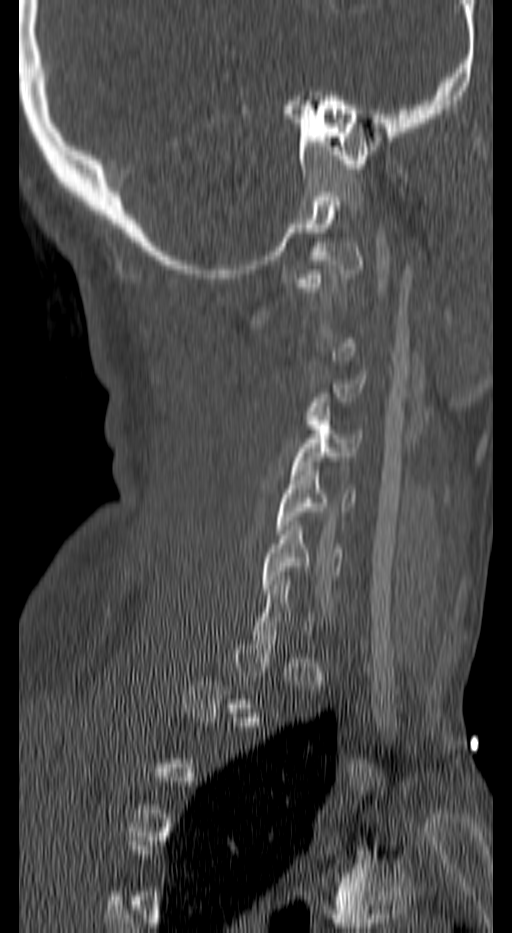

Computed tomography of the spine; sagittal view; 512x933 px; 140 mm image width
Box edges are left/top/right/bottom in pixels.
A vertebra is boxed only from the first to the last slice where its cross-section is at least a third of its largest; slices outside that range leave it without a box.
| vertebra | x1 | y1 | x2 | y2 |
|---|---|---|---|---|
| C3 | 306 | 375 | 366 | 424 |
| C4 | 290 | 411 | 362 | 474 |
| C5 | 276 | 466 | 355 | 534 |
| C6 | 261 | 521 | 343 | 593 |